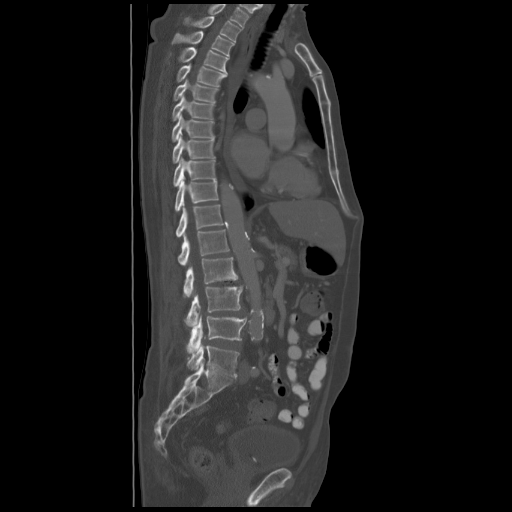 CT, spine — sagittal view — W/L 1800/400 HU — 600 mm wide

Bounding boxes as [x1, y1, x2, y2] in pixel coordinates.
This scan's labels start at T2 at the top and end at L5 at the bottom.
Vertebra bounding boxes:
- T2: [184, 16, 241, 42]
- T3: [171, 31, 234, 55]
- T4: [178, 47, 228, 72]
- T5: [177, 64, 226, 86]
- T6: [173, 79, 217, 102]
- T7: [172, 96, 214, 120]
- T8: [171, 114, 214, 141]
- T9: [172, 133, 215, 163]
- T10: [173, 158, 215, 186]
- T11: [175, 179, 218, 211]
- T12: [176, 205, 226, 237]
- L1: [177, 229, 229, 265]
- L2: [183, 257, 238, 297]
- L3: [185, 286, 242, 327]
- L4: [187, 315, 246, 351]
- L5: [187, 344, 239, 378]